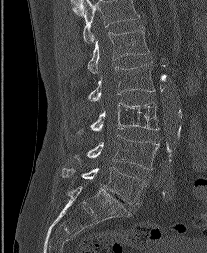 CT, spine; sagittal view
Labels in this scan begin with L1 at the top and end with L5 at the bottom.
<vertebrae><v name="L1" x1="87" y1="27" x2="149" y2="73"/><v name="L2" x1="88" y1="62" x2="154" y2="101"/><v name="L3" x1="78" y1="102" x2="158" y2="134"/><v name="L4" x1="77" y1="135" x2="159" y2="169"/><v name="L5" x1="61" y1="167" x2="145" y2="205"/></vertebrae>